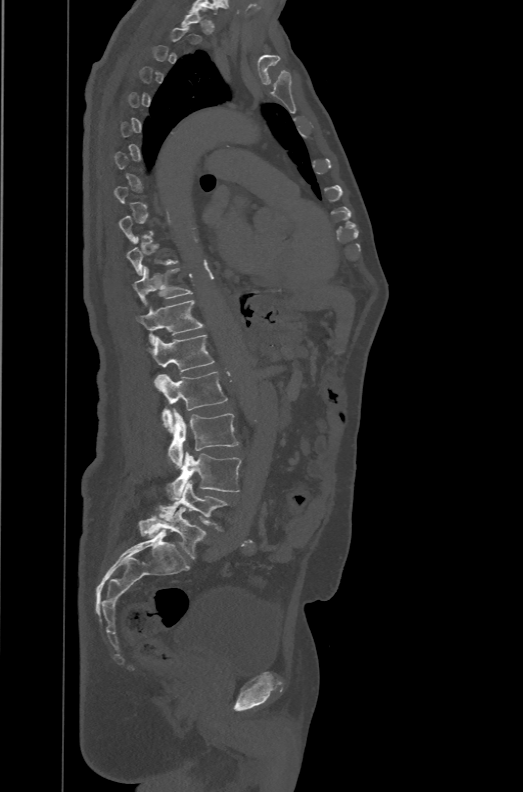
CT spine · image 471 mm wide · sagittal reformat · bone window
Boxes are (x1, y1, x2, y2) in pixels. Each vertebra is boxed only on the slices from the first to the last where its cross-section reaches a third of its largest, so a slice outside that range leaves it unboxed. In these labels the spine has an L6, a sixth lumbar vertebra below L5. 8 vertebrae labeled — T11 at (132, 266, 192, 305); T12 at (135, 300, 204, 345); L1 at (147, 334, 215, 385); L2 at (155, 371, 228, 432); L3 at (168, 408, 239, 468); L4 at (166, 451, 241, 499); L5 at (159, 480, 229, 530); L6 at (138, 507, 205, 559).